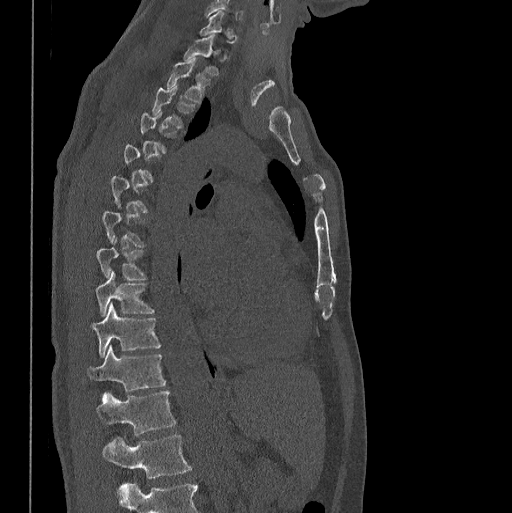 CT spine — sagittal view — 398 mm across the image — W/L 1800/400 HU
Boxes below are [x1, y1, x2, y2] in pixels.
Each vertebra is boxed only on the slices from the first to the last where its cross-section reaches a third of its largest, so a slice outside that range leaves it unboxed.
The highest labeled vertebra in this scan is C7; the lowest is L1.
{"vertebrae":{"L1":[103,434,191,478],"T12":[96,390,176,435],"T11":[87,344,166,391],"T10":[92,302,161,357],"T9":[96,270,155,316],"T8":[96,236,148,279],"T3":[152,85,194,128],"T2":[166,58,210,103],"T1":[184,35,219,75]}}